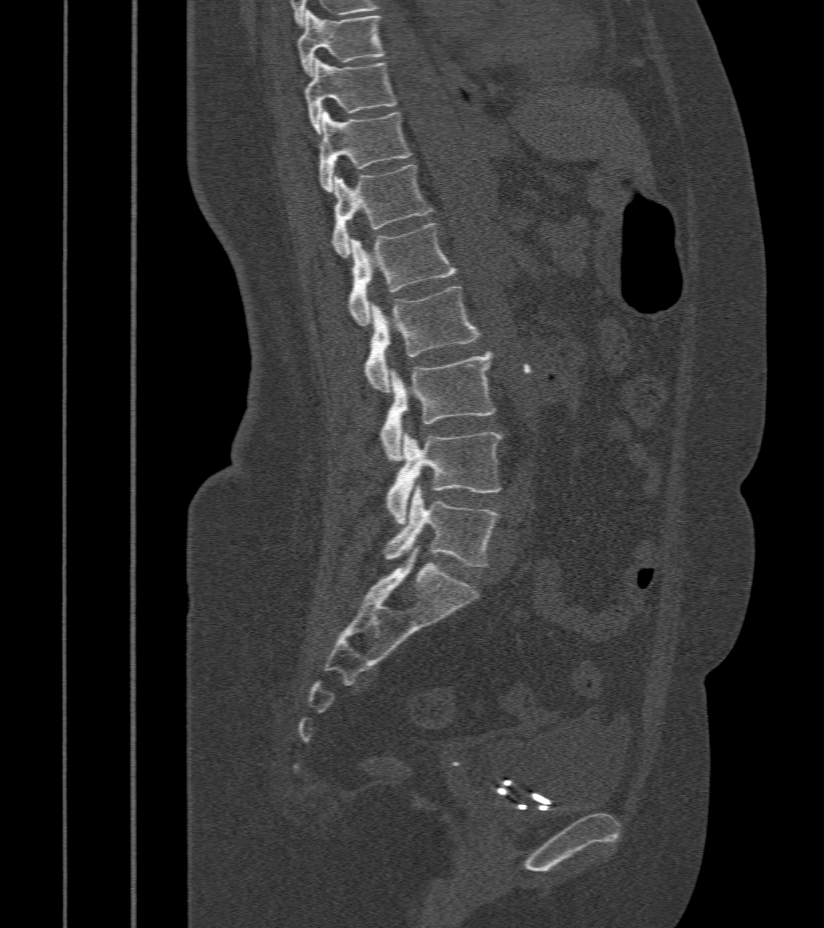

CT spine · sagittal view · 824x928 px · the image is 412 mm wide
Box values are [left, top, right, bottom] in pixels.
{"vertebrae":{"L5":[383,485,500,566],"L4":[386,431,501,524],"L3":[380,351,495,462],"L2":[364,287,480,392],"L1":[348,223,456,326],"T12":[332,165,434,258],"T11":[317,109,411,192],"T10":[304,59,397,134],"T9":[298,11,382,76]}}